CT spine · Sagittal slice 308/512 · bone window · 512x850 px
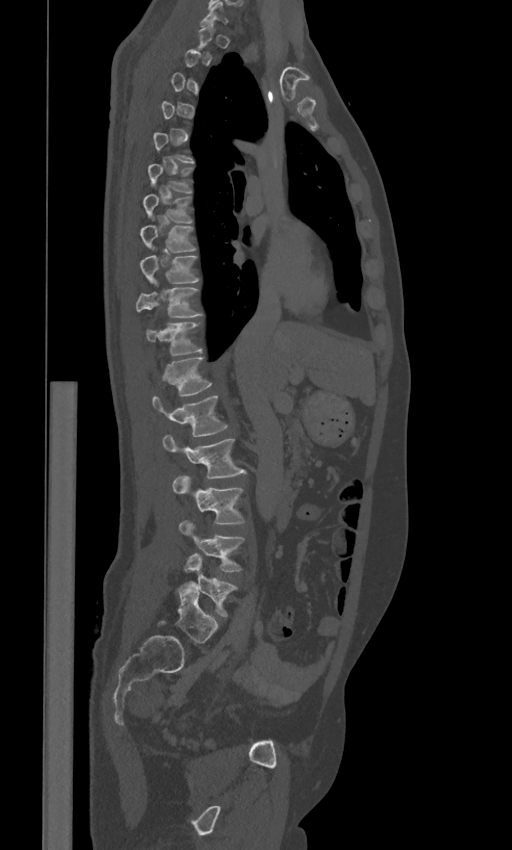
Coordinates as <box>x1,y1,x2,y2</box>. Each vertebra is boxed only on the slices from the first to the last where its cross-section reaches a third of its largest, so a slice outside that range leaves it unboxed. In these labels the spine has an L6, a sixth lumbar vertebra below L5. Vertebrae labeled: T6 at <box>148,163,193,192</box>, T7 at <box>143,193,193,223</box>, T8 at <box>140,218,197,253</box>, T9 at <box>140,248,200,284</box>, T10 at <box>135,283,202,317</box>, T11 at <box>146,321,202,356</box>, T12 at <box>162,357,213,395</box>, L1 at <box>152,395,228,436</box>, L2 at <box>163,434,246,477</box>, L3 at <box>172,474,245,524</box>, L4 at <box>178,519,244,571</box>, L5 at <box>185,553,237,617</box>, L6 at <box>175,580,217,643</box>.